Computed tomography of the spine · the image is 153 mm wide · Sagittal slice 365/512 · 512x757 px
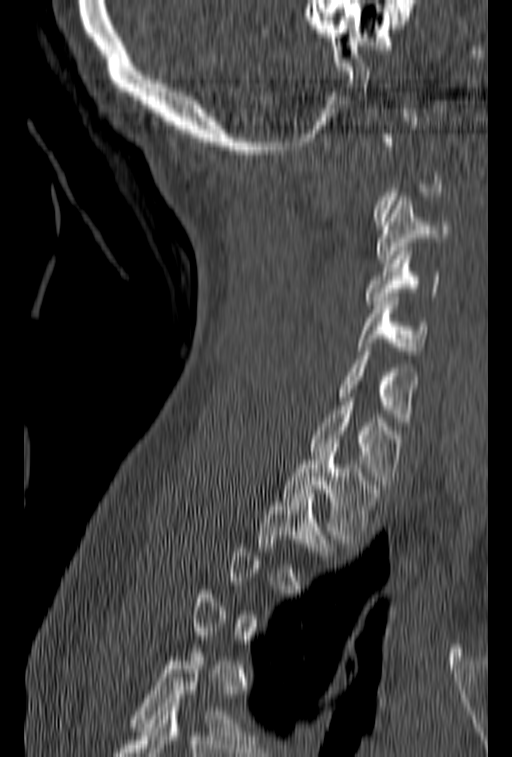 Coordinates as <box>x1,y1,x2,y2</box>.
A vertebra is boxed only from the first to the last slice where its cross-section is at least a third of its largest; slices outside that range leave it without a box.
Vertebra bounding boxes:
- C3: <box>376,197,451,263</box>
- C4: <box>366,247,439,304</box>
- C5: <box>356,297,429,355</box>
- C6: <box>336,343,419,421</box>
- C7: <box>309,397,402,484</box>
- T1: <box>282,452,381,543</box>
- T2: <box>257,489,338,555</box>